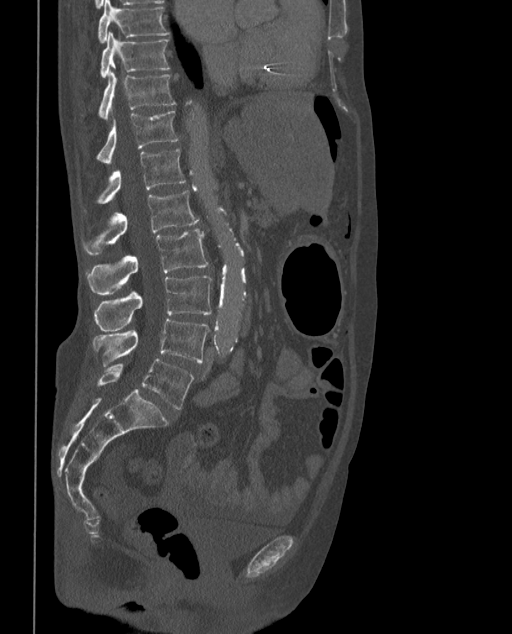
CT, spine. sagittal view
Bounding boxes as [x1, y1, x2, y2] in pixel coordinates. These labels give the spine a sixth lumbar vertebra, L6, below L5. The labeled vertebrae in this slice are: T9 at [97, 0, 169, 42], T10 at [100, 31, 169, 77], T11 at [99, 70, 175, 120], T12 at [96, 111, 179, 163], L1 at [96, 149, 185, 203], L2 at [82, 190, 199, 253], L3 at [86, 229, 207, 295], L4 at [95, 275, 212, 331], L5 at [93, 319, 209, 367], L6 at [97, 359, 194, 409].